CT — Sagittal slice 208/382 — 382 mm image width
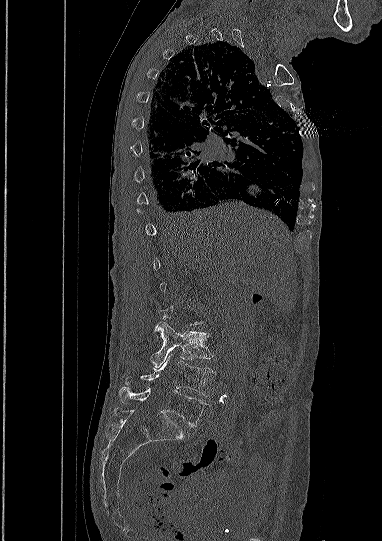

Box edges are left/top/right/bottom in pixels. Not every vertebra on this slice has a box: a vertebra is boxed only from the first to the last slice where its cross-section is at least a third of its largest, and this slice is outside that range for at least one of them. The labeled vertebrae in this slice are: L5 at left=120, top=388, right=205, bottom=426, L4 at left=122, top=353, right=214, bottom=396, L3 at left=151, top=322, right=212, bottom=370.